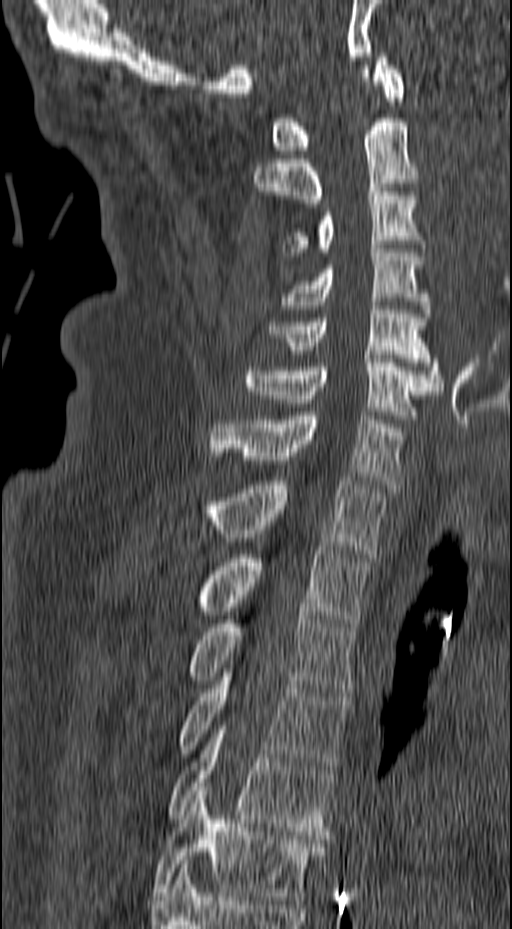 Spine CT; sagittal view; 512x929 px; 157 mm across the image
Each box is [x1, y1, x2, y2] in pixels: top-left corner, then bottom-right corner.
{"vertebrae":{"C1":[272,53,405,154],"C2":[253,118,418,203],"C3":[282,188,425,256],"C4":[282,245,431,317],"C5":[269,302,442,390],"C6":[244,355,439,419],"C7":[210,412,401,488],"T1":[203,477,388,557],"T2":[197,546,369,627],"T3":[187,611,356,696],"T4":[177,669,349,769],"T5":[167,726,336,839],"T6":[152,787,333,904]}}